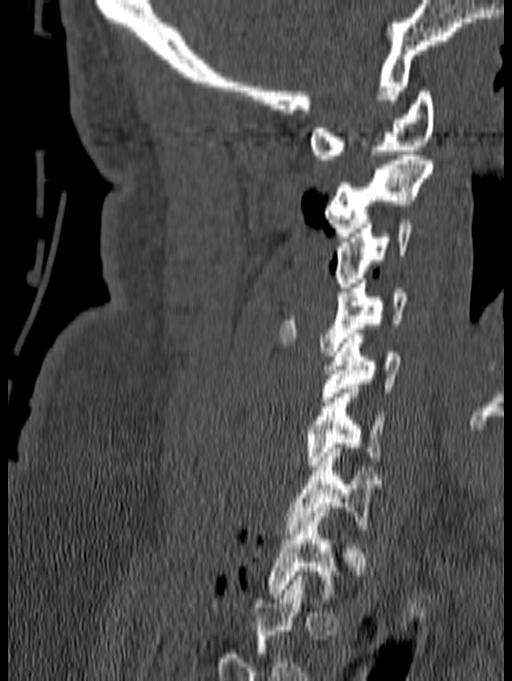 Computed tomography of the spine — image 140 mm wide — sagittal view — bone window. Each box given as x1,y1,x2,y2.
The highest labeled vertebra in this scan is C1; the lowest is T1.
C1: x1=309, y1=91, x2=435, y2=159
C2: x1=324, y1=155, x2=434, y2=237
C3: x1=334, y1=219, x2=413, y2=287
C4: x1=278, y1=279, x2=407, y2=356
C5: x1=321, y1=334, x2=401, y2=401
C6: x1=236, y1=384, x2=385, y2=470
C7: x1=286, y1=448, x2=377, y2=534
T1: x1=266, y1=507, x2=340, y2=602